Computed tomography of the spine; sagittal view; W/L 1800/400 HU
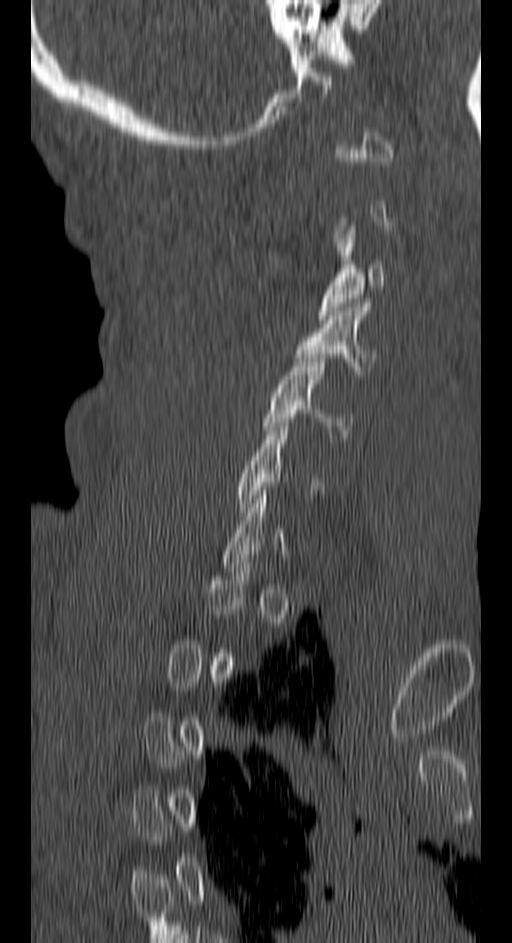

Boxes: x1:y1:x2:y2 in pixels.
A vertebra is boxed only from the first to the last slice where its cross-section is at least a third of its largest; slices outside that range leave it without a box.
C5: 264:354:354:438
C4: 294:303:378:374
C3: 317:226:386:319